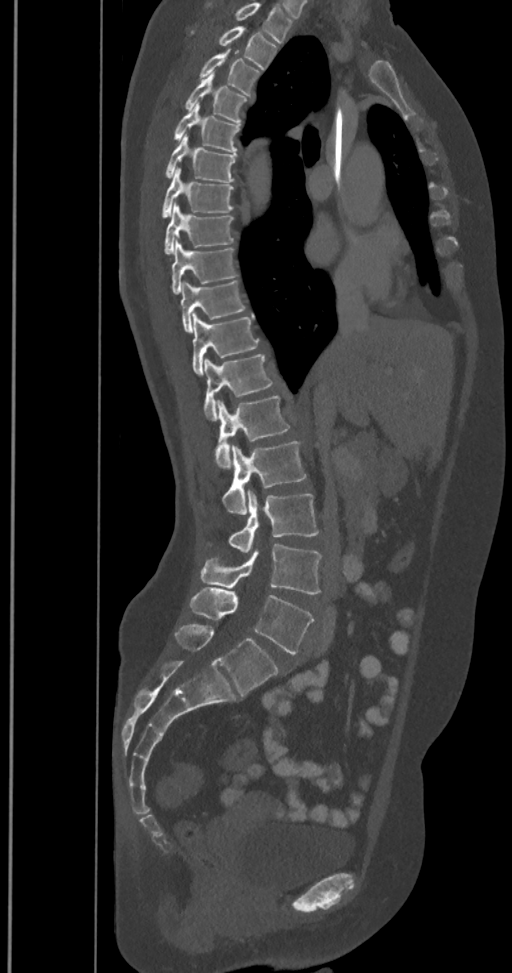
CT spine · sagittal view. Each box given as x1,y1,x2,y2.
The highest labeled vertebra in this scan is T2; the lowest is L6.
The labels name a sixth lumbar vertebra for this spine: L6, after L5.
| vertebra | x1 | y1 | x2 | y2 |
|---|---|---|---|---|
| T2 | 190 | 26 | 277 | 70 |
| T3 | 199 | 50 | 261 | 96 |
| T4 | 184 | 74 | 249 | 124 |
| T5 | 172 | 103 | 240 | 152 |
| T6 | 165 | 134 | 236 | 182 |
| T7 | 161 | 167 | 234 | 218 |
| T8 | 164 | 204 | 234 | 254 |
| T9 | 171 | 240 | 237 | 294 |
| T10 | 180 | 282 | 246 | 332 |
| T11 | 192 | 312 | 259 | 376 |
| T12 | 203 | 354 | 277 | 420 |
| L1 | 213 | 395 | 291 | 469 |
| L2 | 222 | 441 | 306 | 514 |
| L3 | 209 | 490 | 319 | 552 |
| L4 | 200 | 542 | 322 | 594 |
| L5 | 190 | 587 | 313 | 653 |
| L6 | 174 | 624 | 278 | 695 |